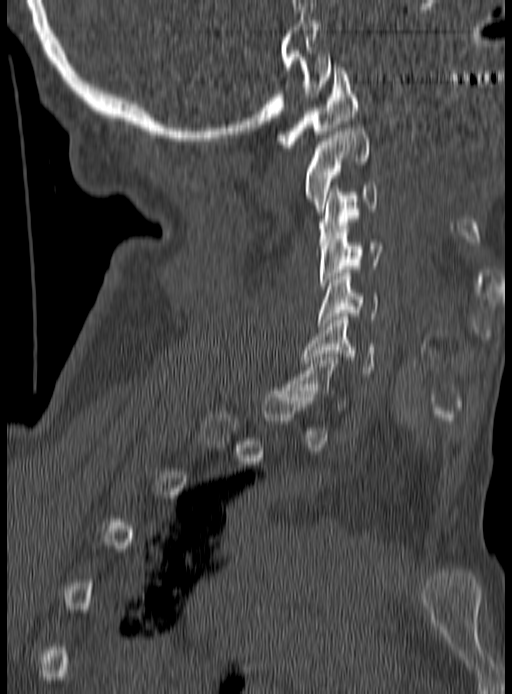 CT spine · sagittal reformat
Boxes below are [x1, y1, x2, y2] in pixels.
Each vertebra is boxed only on the slices from the first to the last where its cross-section reaches a third of its largest, so a slice outside that range leaves it unboxed.
{"vertebrae":{"C1":[278,64,358,147],"C2":[303,128,369,211],"C3":[319,185,380,245],"C4":[319,226,383,289],"C5":[319,273,380,326],"C6":[303,317,374,376]}}